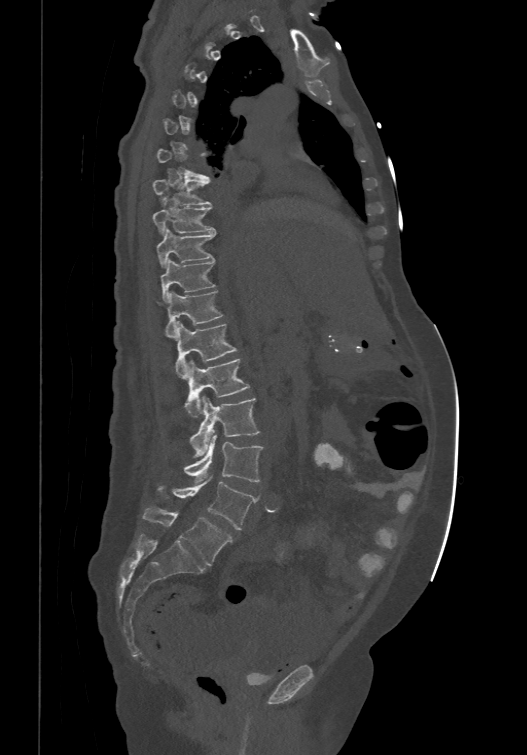

Spine CT. 474 mm image width. sagittal view
Coordinates as <box>x1,y1,x2,y2</box>.
Each vertebra is boxed only on the slices from the first to the last where its cross-section reaches a third of its largest, so a slice outside that range leaves it unboxed.
The labels name a sixth lumbar vertebra for this spine: L6, after L5.
T8: <box>152,177,211,204</box>
T9: <box>152,196,215,232</box>
T10: <box>156,226,216,265</box>
T11: <box>160,257,215,302</box>
T12: <box>166,290,222,336</box>
L1: <box>175,321,237,377</box>
L2: <box>184,357,250,417</box>
L3: <box>190,396,259,457</box>
L4: <box>184,434,262,482</box>
L5: <box>157,476,257,530</box>
L6: <box>142,507,233,565</box>